Spine computed tomography · sagittal view · bone-window reconstruction · scan covers 8 annotated vertebrae
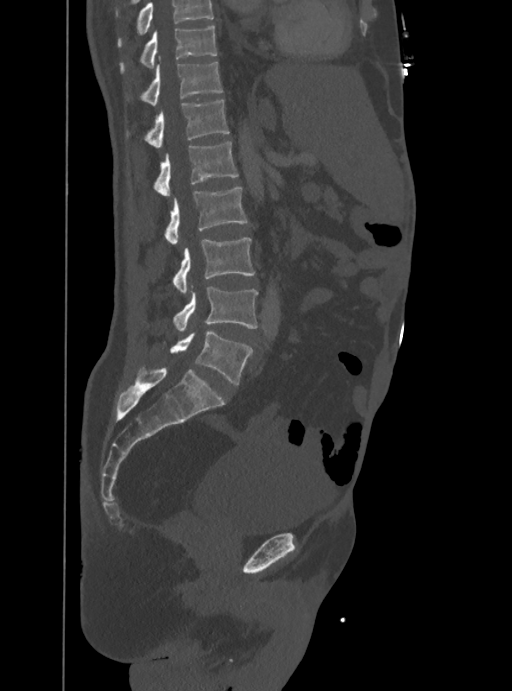
Vertebrae that run past the top of the scan are left unlabeled.
<vertebrae><v name="T10" x1="120" y1="25" x2="217" y2="73"/><v name="T11" x1="140" y1="62" x2="222" y2="105"/><v name="T12" x1="127" y1="99" x2="230" y2="146"/><v name="L1" x1="153" y1="141" x2="238" y2="195"/><v name="L2" x1="165" y1="188" x2="247" y2="245"/><v name="L3" x1="173" y1="238" x2="255" y2="294"/><v name="L4" x1="173" y1="286" x2="257" y2="330"/><v name="L5" x1="170" y1="331" x2="251" y2="384"/></vertebrae>